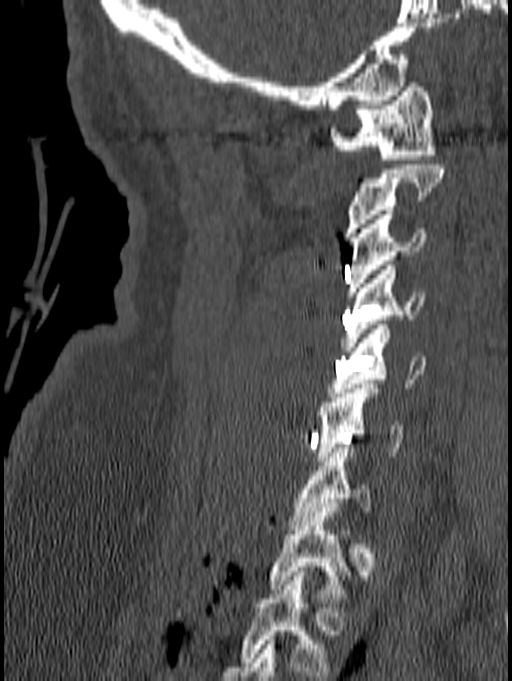

Spine computed tomography — sagittal reformat — 512x681 px

Columns x1, y1, x2, y2 give each box's top-left and bottom-right pixels.
This scan's labels start at C1 at the top and end at T1 at the bottom.
| vertebra | x1 | y1 | x2 | y2 |
|---|---|---|---|---|
| C1 | 329 | 82 | 435 | 164 |
| C2 | 343 | 165 | 444 | 237 |
| C3 | 347 | 210 | 428 | 296 |
| C4 | 341 | 265 | 425 | 351 |
| C5 | 329 | 325 | 427 | 397 |
| C6 | 316 | 384 | 403 | 465 |
| C7 | 286 | 443 | 371 | 529 |
| T1 | 268 | 507 | 349 | 602 |